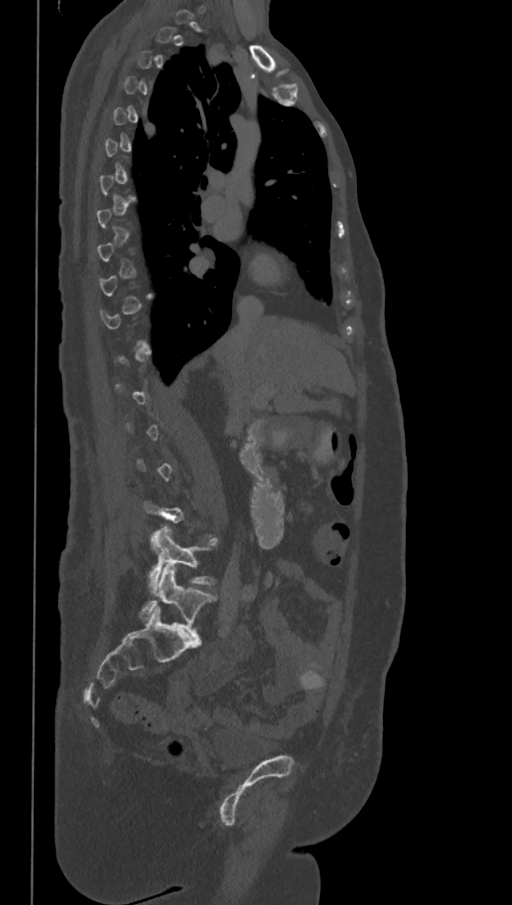

CT, spine. sagittal view. 512x905 px

Boxes: x1:y1:x2:y2 in pixels.
A vertebra is boxed only from the first to the last slice where its cross-section is at least a third of its largest; slices outside that range leave it without a box.
In these labels the spine has an L6, a sixth lumbar vertebra below L5.
L5: 149:527:213:586
L6: 139:566:216:636